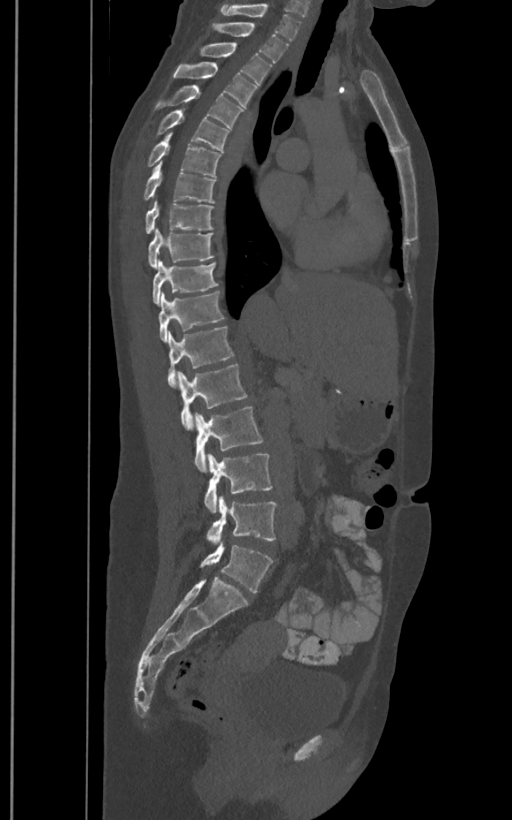
Spine CT · sagittal view · W/L 1800/400 HU · 512x820 px · 400 mm across the image
Boxes are (x1, y1, x2, y2) in pixels.
These labels give the spine a sixth lumbar vertebra, L6, below L5.
Vertebra bounding boxes:
- L6: (200, 543, 273, 592)
- L5: (206, 497, 277, 543)
- L4: (203, 453, 273, 512)
- L3: (194, 406, 264, 471)
- L2: (179, 363, 247, 430)
- L1: (168, 326, 234, 387)
- T12: (159, 291, 225, 342)
- T11: (152, 262, 218, 304)
- T10: (147, 229, 214, 267)
- T9: (144, 200, 214, 233)
- T8: (143, 161, 215, 203)
- T7: (146, 132, 220, 176)
- T6: (156, 108, 229, 151)
- T5: (152, 84, 243, 127)
- T4: (173, 62, 257, 107)
- T3: (201, 43, 271, 90)
- T2: (211, 23, 288, 62)
- T1: (220, 3, 301, 39)